CT. sagittal view. 234 mm across the image. scan covers 4 annotated vertebrae
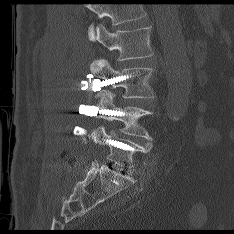
Bounding boxes as [x1, y1, x2, y2] in pixel coordinates.
No box is given to a vertebra that the top edge of the scan cuts off.
L2: [95, 24, 152, 60]
L3: [91, 59, 153, 97]
L4: [97, 92, 152, 140]
L5: [91, 127, 151, 168]